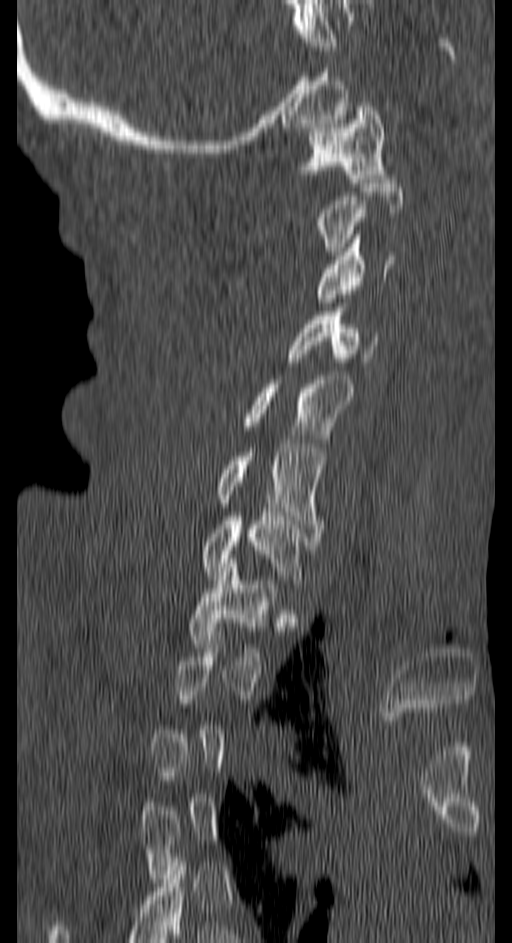
Spine computed tomography; sagittal view. Each box given as x1,y1,x2,y2.
Not every vertebra on this slice has a box: a vertebra is boxed only from the first to the last slice where its cross-section is at least a third of its largest, and this slice is outside that range for at least one of them.
| vertebra | x1 | y1 | x2 | y2 |
|---|---|---|---|---|
| T1 | 189 | 559 | 277 | 660 |
| C7 | 203 | 512 | 301 | 584 |
| C6 | 216 | 444 | 321 | 537 |
| C5 | 244 | 375 | 353 | 438 |
| C4 | 289 | 303 | 376 | 366 |
| C3 | 319 | 230 | 396 | 302 |
| C1 | 302 | 102 | 384 | 182 |